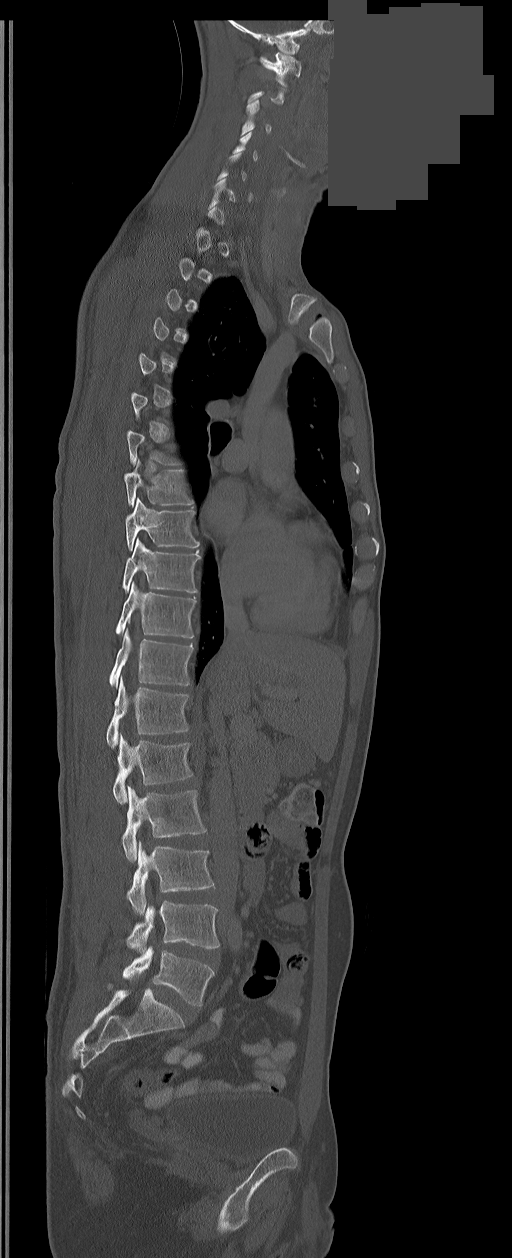 CT, spine; sagittal view; part of the image has been replaced by a constant value. Each row gives a vertebra's box as x1, y1, x2, y2 in pixels: top-left corner, then bottom-right corner.
A vertebra gets a box only on the slices from the first to the last where its cross-section is at least a third of its largest; on a slice outside that range it gets none.
These labels give the spine a sixth lumbar vertebra, L6, below L5.
| vertebra | x1 | y1 | x2 | y2 |
|---|---|---|---|---|
| L6 | 123 | 947 | 214 | 1006 |
| L5 | 126 | 901 | 219 | 953 |
| L4 | 126 | 843 | 213 | 915 |
| L3 | 122 | 787 | 205 | 861 |
| L2 | 113 | 735 | 192 | 804 |
| L1 | 106 | 678 | 188 | 747 |
| T12 | 108 | 629 | 192 | 687 |
| T11 | 116 | 582 | 195 | 637 |
| T10 | 122 | 539 | 200 | 593 |
| T9 | 125 | 499 | 200 | 551 |
| T8 | 125 | 459 | 192 | 507 |
| C3 | 240 | 100 | 271 | 136 |
| C1 | 260 | 52 | 301 | 86 |